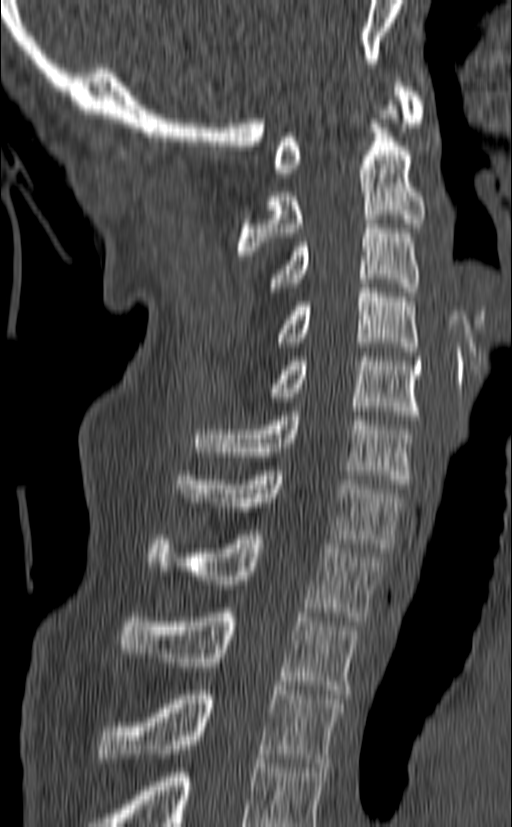
Spine CT; the image spans 140 mm across; sagittal view; Bone window (WL 400, WW 1800)

Each vertebra maps to its box as [x1, y1, x2, y2], the pixel coordinates of its top-left and bottom-right corners.
In this scan, the topmost labeled vertebra is C1 and the lowest is T3.
{"vertebrae":{"T3":[96,686,344,767],"T2":[118,608,359,694],"T1":[148,530,384,621],"C7":[177,466,403,552],"C6":[195,411,414,488],"C5":[268,352,421,420],"C4":[279,283,417,351],"C3":[268,219,419,292],"C2":[237,105,425,255],"C1":[274,78,426,177]}}